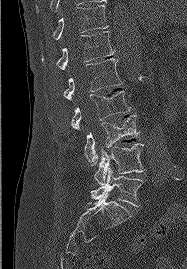

Computed tomography of the spine; sagittal view
In the table, x1 and y1 are a box's top-left corner and x2 and y2 its bottom-right corner, in pixels.
| vertebra | x1 | y1 | x2 | y2 |
|---|---|---|---|---|
| T11 | 53 | 5 | 108 | 39 |
| T12 | 42 | 31 | 114 | 72 |
| L1 | 63 | 58 | 122 | 100 |
| L2 | 71 | 91 | 130 | 129 |
| L3 | 84 | 114 | 139 | 165 |
| L4 | 94 | 143 | 145 | 185 |
| L5 | 91 | 168 | 142 | 206 |